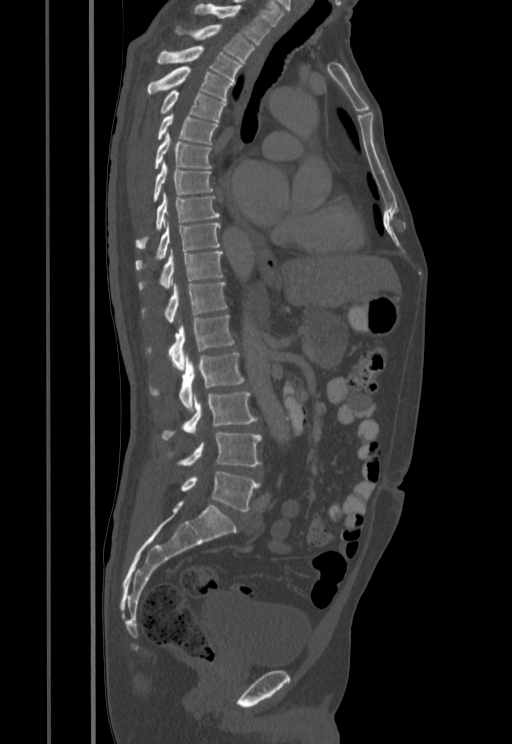
Spine computed tomography — sagittal view — 455 mm image width — 512x744 px. Coordinates as <box>x1,y1,x2,y2</box>.
T1: <box>193,4,270,44</box>
T2: <box>177,24,254,62</box>
T3: <box>157,46,242,81</box>
T4: <box>147,66,234,100</box>
T5: <box>160,90,226,121</box>
T6: <box>157,113,217,144</box>
T7: <box>154,134,212,168</box>
T8: <box>153,162,213,200</box>
T9: <box>135,193,219,249</box>
T10: <box>135,222,219,270</box>
T11: <box>138,249,223,290</box>
T12: <box>142,281,226,323</box>
L1: <box>169,315,234,369</box>
L2: <box>151,353,243,410</box>
L3: <box>161,392,257,439</box>
L4: <box>179,432,261,466</box>
L5: <box>181,471,260,511</box>